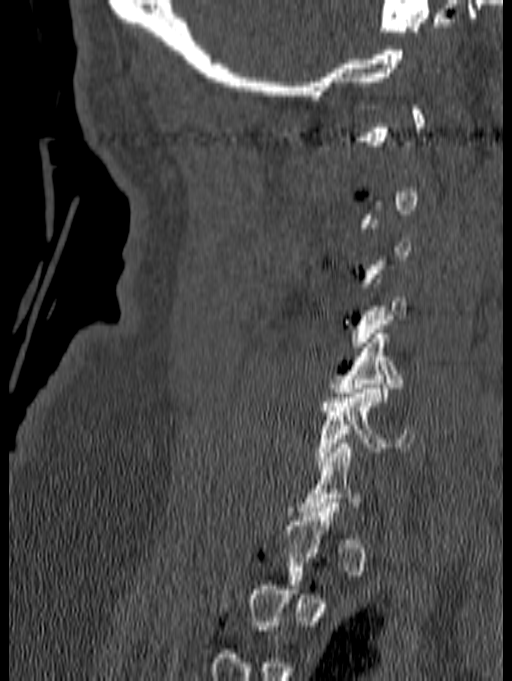

CT · sagittal view · image 140 mm wide · bone-window reconstruction

Boxes are (x1, y1, x2, y2) in pixels.
Not every vertebra on this slice has a box: a vertebra is boxed only from the first to the last slice where its cross-section is at least a third of its largest, and this slice is outside that range for at least one of them.
C5: (329, 329, 403, 401)
C6: (315, 384, 415, 465)